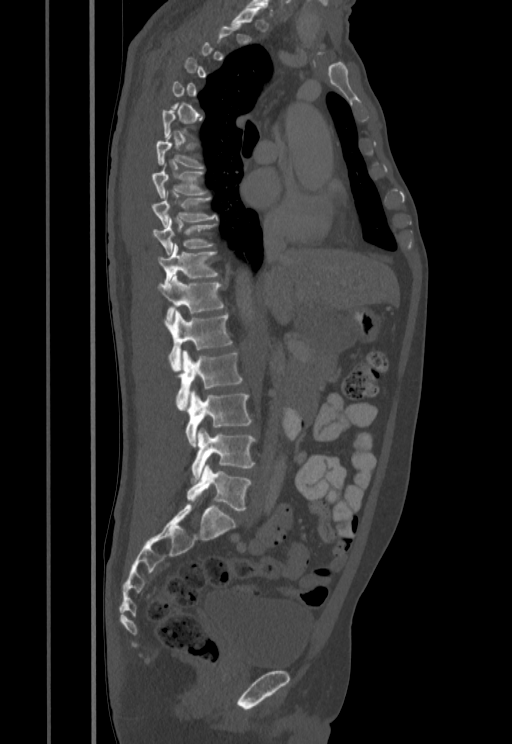
Spine computed tomography · the image spans 455 mm across · sagittal view · 512x744 px

Boxes are (x1, y1, x2, y2) in pixels.
Not every vertebra on this slice has a box: a vertebra is boxed only from the first to the last slice where its cross-section is at least a third of its largest, and this slice is outside that range for at least one of them.
T7: (156, 136, 204, 168)
T8: (152, 162, 207, 199)
T9: (152, 190, 217, 227)
T10: (153, 218, 216, 255)
T11: (157, 243, 217, 285)
T12: (157, 274, 224, 321)
L1: (164, 311, 232, 370)
L2: (175, 350, 242, 410)
L3: (186, 391, 251, 446)
L4: (191, 428, 255, 480)
L5: (187, 464, 251, 510)